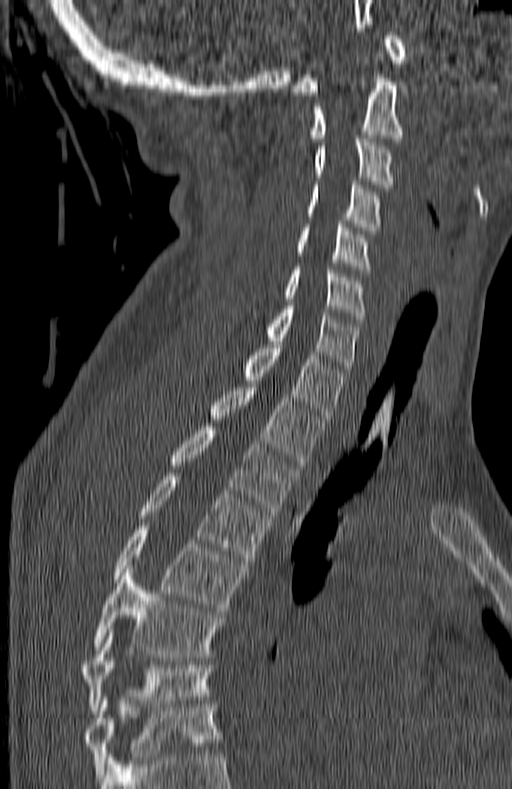
CT, spine — sagittal view — image 180 mm wide — bone window. Boxes are (x1, y1, x2, y2) in pixels.
The highest labeled vertebra in this scan is C1; the lowest is T7.
C1: (291, 32, 405, 95)
C2: (311, 75, 404, 141)
C3: (314, 139, 392, 187)
C4: (308, 181, 378, 230)
C5: (297, 224, 370, 273)
C6: (285, 267, 364, 319)
C7: (265, 306, 358, 372)
T1: (243, 341, 345, 419)
T2: (211, 384, 324, 465)
T3: (172, 427, 296, 515)
T4: (140, 473, 270, 564)
T5: (115, 526, 245, 611)
T6: (94, 569, 222, 657)
T7: (81, 633, 213, 714)